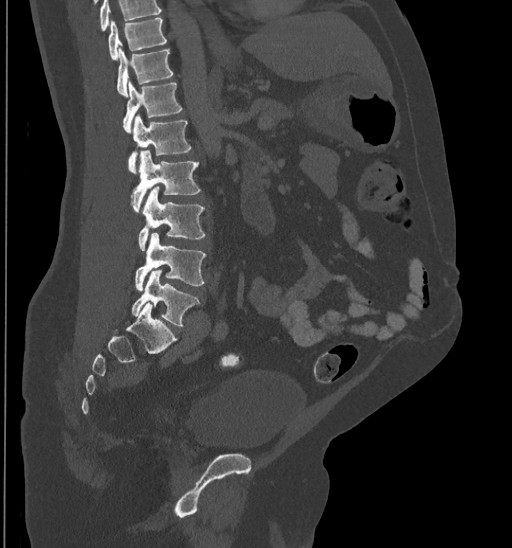

CT, spine — sagittal view

Bounding boxes as [x1, y1, x2, y2] in pixel coordinates. No box is given to a vertebra that the top edge of the scan cuts off. The labeled vertebrae in this slice are: T10 at [108, 17, 167, 59], T11 at [116, 48, 173, 96], T12 at [122, 82, 183, 132], L1 at [128, 114, 191, 174], L2 at [131, 150, 200, 213], L3 at [138, 187, 205, 250], L4 at [134, 232, 206, 290], L5 at [132, 270, 200, 326].